CT, spine — sagittal plane, index 200 — 371x594 px
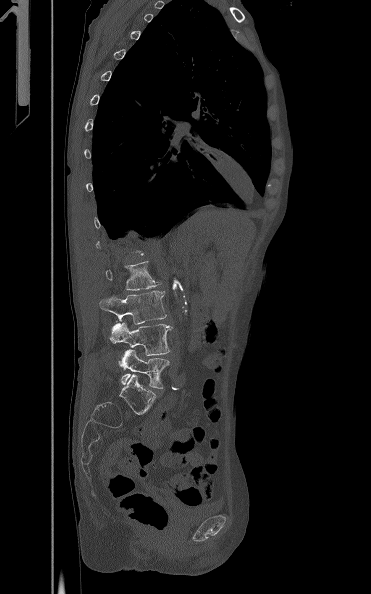 Boxes below are [x1, y1, x2, y2] in pixels.
A vertebra is boxed only from the first to the last slice where its cross-section is at least a third of its largest; slices outside that range leave it without a box.
{"vertebrae":{"L2":[105,261,160,290],"L3":[100,290,166,324],"L4":[110,322,172,355],"L5":[119,349,169,388]}}